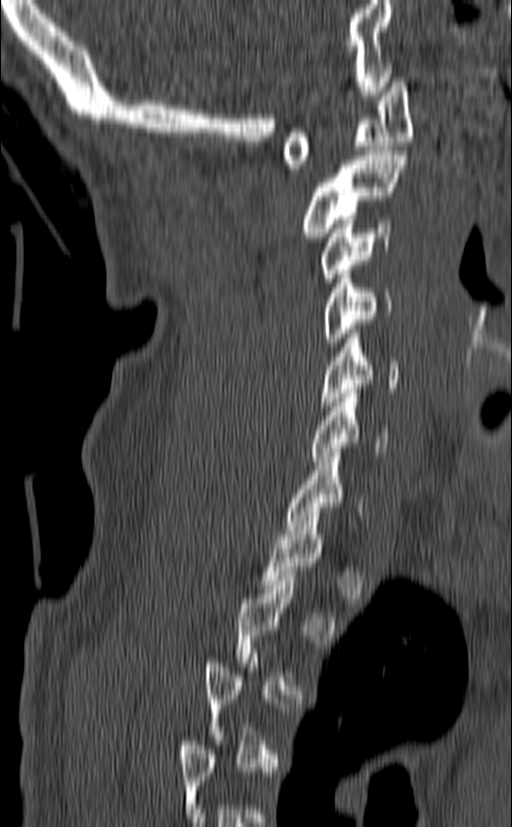 Computed tomography of the spine · sagittal view · image 140 mm wide
Boxes are given in columns x1, y1, x2, y2, the pixel coordinates of their top-left and bottom-right corners.
A vertebra gets a box only on the slices from the first to the last where its cross-section is at least a third of its largest; on a slice outside that range it gets none.
| vertebra | x1 | y1 | x2 | y2 |
|---|---|---|---|---|
| C1 | 283 | 78 | 412 | 173 |
| C2 | 301 | 151 | 407 | 237 |
| C3 | 320 | 219 | 392 | 282 |
| C4 | 323 | 265 | 393 | 346 |
| C5 | 319 | 329 | 399 | 406 |
| C6 | 310 | 389 | 390 | 461 |
| C7 | 284 | 448 | 362 | 534 |